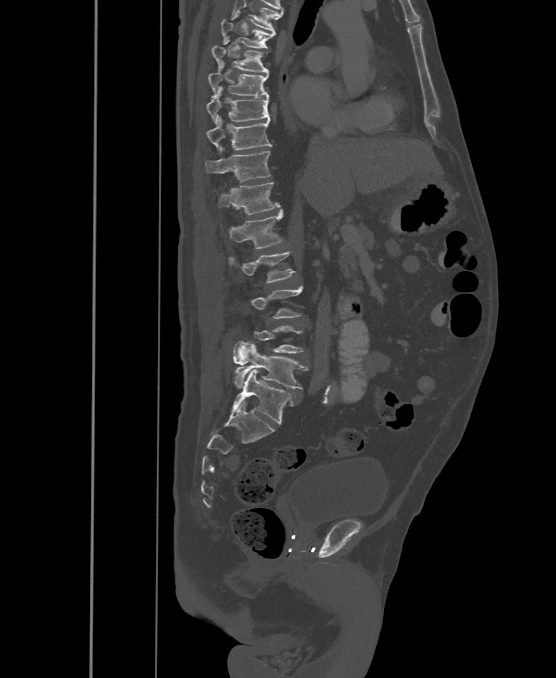

Computed tomography of the spine · sagittal view

Box values are [left, top, right, bottom] in pixels.
Each vertebra is boxed only on the slices from the first to the last where its cross-section reaches a third of its largest, so a slice outside that range leaves it unboxed.
This scan's labels start at T6 at the top and end at L6 at the bottom.
These labels give the spine a sixth lumbar vertebra, L6, below L5.
{"vertebrae":{"T6":[221,15,275,48],"T7":[212,39,268,73],"T8":[207,63,268,97],"T9":[206,93,270,123],"T10":[206,117,271,152],"T11":[205,151,270,182],"T12":[218,182,280,215],"L1":[228,210,283,248],"L2":[229,251,295,283],"L3":[250,286,303,318],"L5":[232,341,308,388],"L6":[232,369,293,424]}}